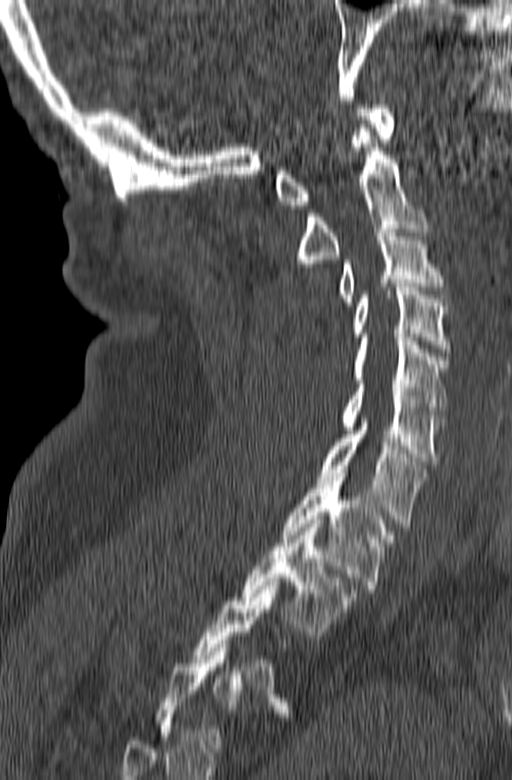 CT; the image spans 165 mm across; sagittal reformat; bone-window reconstruction
Boxes: x1:y1:x2:y2 in pixels.
Not every vertebra on this slice has a box: a vertebra is boxed only from the first to the last slice where its cross-section is at least a third of its largest, and this slice is outside that range for at least one of them.
Vertebra bounding boxes:
- T2: 240:520:357:635
- T1: 282:473:393:592
- C7: 317:419:428:527
- C6: 339:380:446:464
- C5: 352:337:450:418
- C4: 352:283:450:352
- C3: 336:229:444:305
- C2: 296:128:428:271
- C1: 274:105:395:208